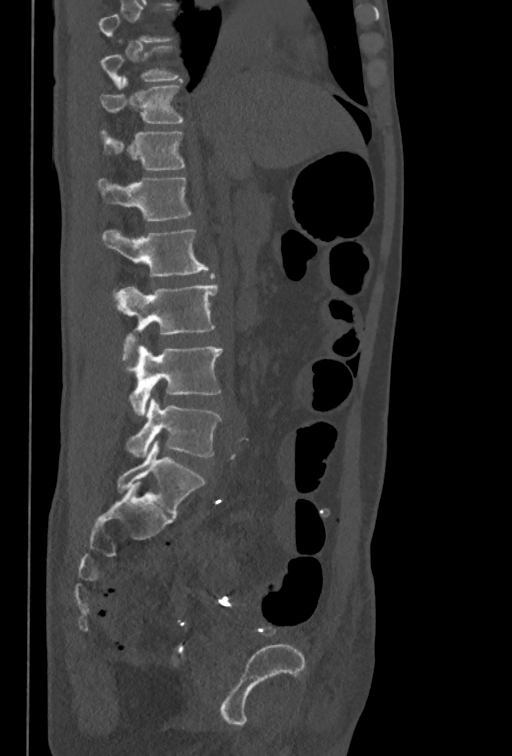 CT · sagittal view · 350 mm wide · bone-window reconstruction
Boxes: x1 y1 x2 y2 (pixel coords, space-separated).
This scan's labels start at T10 at the top and end at L5 at the bottom.
L5: 126 399 221 457
L4: 122 345 223 415
L3: 117 284 218 341
L2: 102 229 208 277
L1: 96 178 192 222
T12: 99 129 185 170
T11: 101 78 183 123
T10: 101 46 182 89